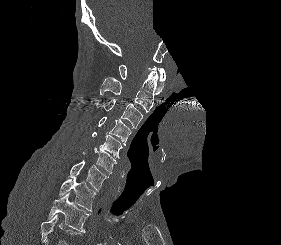
CT. sagittal view. a portion of the image is blanked out (constant pixel value)
Boxes: x1 y1 x2 y2 (pixel coords, space-separated).
Where the bottom of the scan cuts through a vertebra, that vertebra gets no label or box.
C1: 119 65 165 94
C2: 100 70 157 113
C3: 96 99 143 128
C4: 98 117 131 145
C5: 92 132 122 158
C6: 83 147 116 174
C7: 68 160 108 191
T1: 58 177 96 212
T2: 48 192 91 232